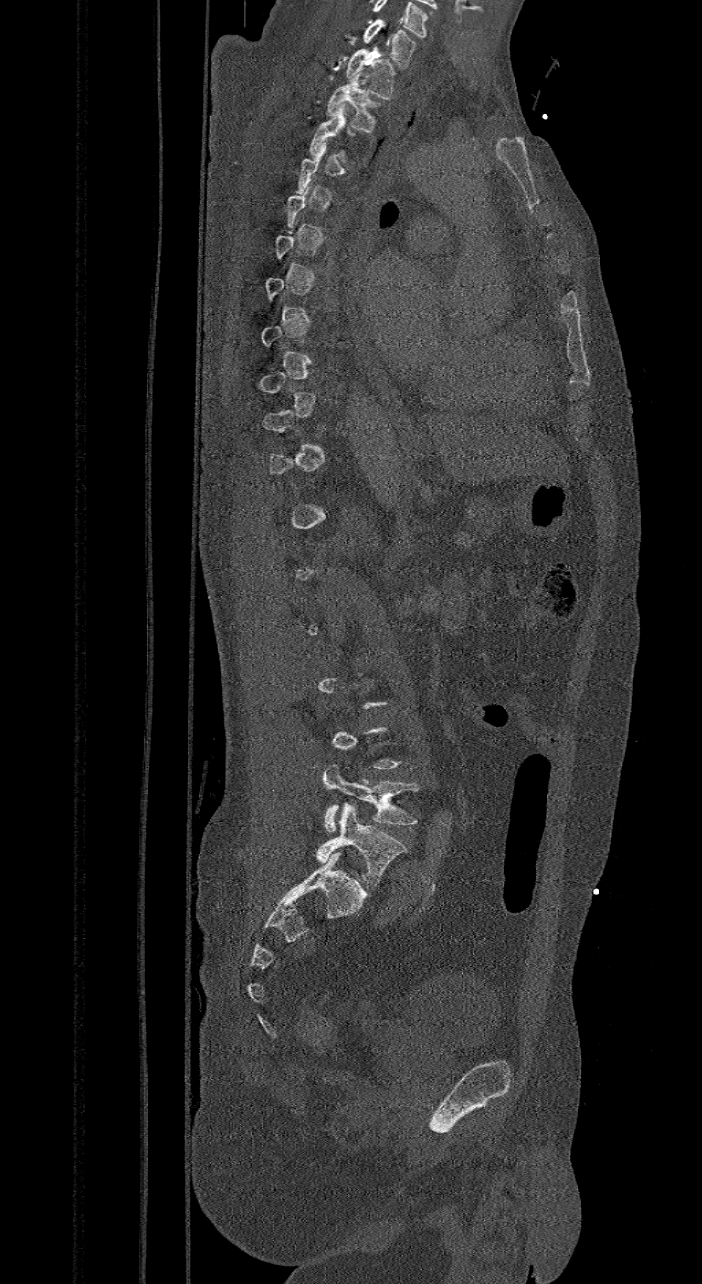
CT, spine; sagittal view; bone window
A vertebra gets a box only on the slices from the first to the last where its cross-section is at least a third of its largest; on a slice outside that range it gets none.
The highest labeled vertebra in this scan is C7; the lowest is L6.
The labels name a sixth lumbar vertebra for this spine: L6, after L5.
<vertebrae><v name="C7" x1="362" y1="18" x2="416" y2="68"/><v name="T1" x1="345" y1="46" x2="395" y2="99"/><v name="T2" x1="326" y1="72" x2="380" y2="132"/><v name="T3" x1="308" y1="104" x2="354" y2="164"/><v name="L5" x1="322" y1="763" x2="422" y2="832"/><v name="L6" x1="317" y1="802" x2="407" y2="887"/></vertebrae>